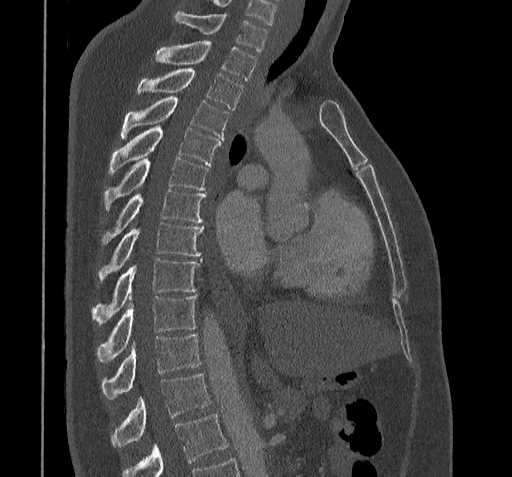 Spine computed tomography. sagittal view. 512x477 px
Boxes below are [x1, y1, x2, y2] in pixels.
No box is given to a vertebra that the bottom edge of the scan cuts off.
{"vertebrae":{"C7":[175,10,267,51],"T1":[157,42,256,79],"T2":[138,67,244,109],"T3":[121,96,228,141],"T4":[109,125,220,175],"T5":[103,157,207,212],"T6":[101,189,205,245],"T7":[98,222,204,281],"T8":[92,259,201,324],"T9":[97,295,196,362],"T10":[101,333,201,400],"T11":[111,374,210,447]}}